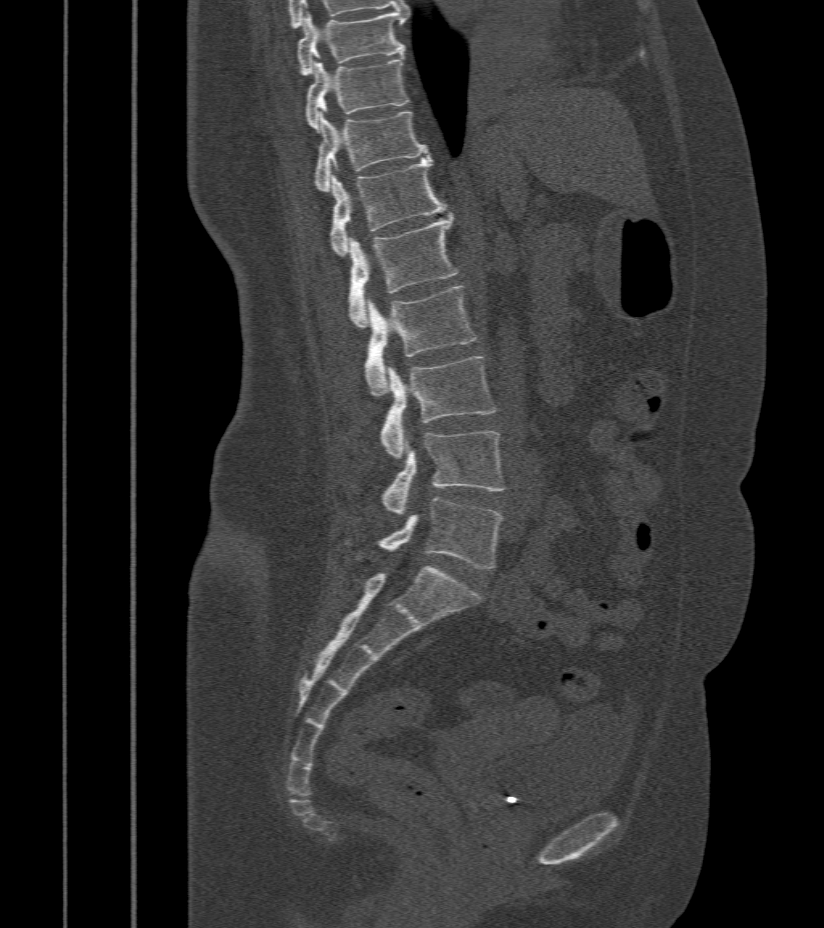

CT spine · sagittal reformat · bone-window reconstruction · image 412 mm wide · 824x928 px. Boxes: x1 y1 x2 y2 (pixel coords, space-separated).
T9: 298 11 406 76
T10: 306 57 409 130
T11: 314 107 429 192
T12: 330 159 446 256
L1: 348 213 456 328
L2: 365 287 477 396
L3: 380 357 496 458
L4: 383 431 504 516
L5: 380 497 501 568